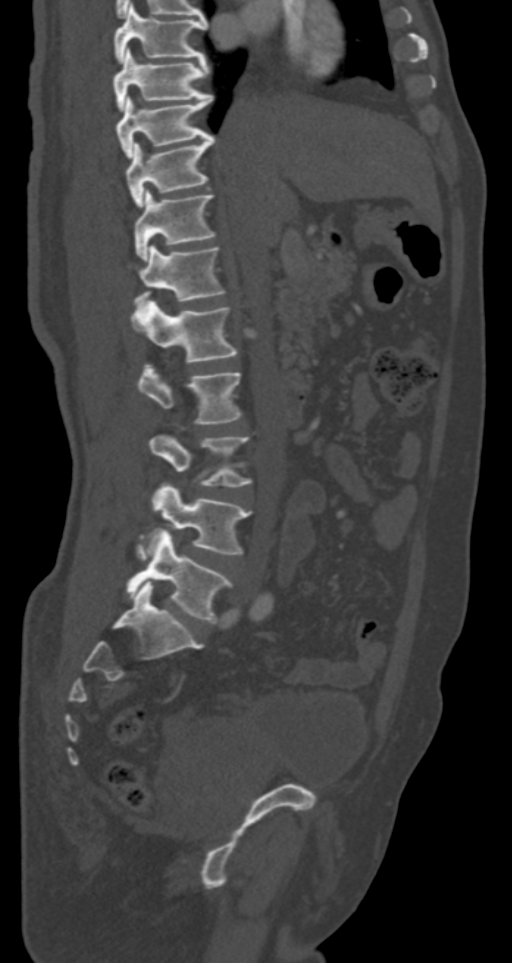 CT · sagittal view
Bounding boxes as [x1, y1, x2, y2] in pixel coordinates. Vertebrae labeled: L5 at [126, 532, 231, 623], L4 at [136, 483, 250, 558], L3 at [148, 435, 250, 486], L2 at [137, 366, 241, 424], L1 at [132, 301, 238, 362], T12 at [128, 246, 223, 305], T11 at [133, 189, 214, 259], T10 at [124, 135, 214, 204], T9 at [116, 94, 213, 158], T8 at [112, 50, 209, 109], T7 at [114, 4, 206, 61].